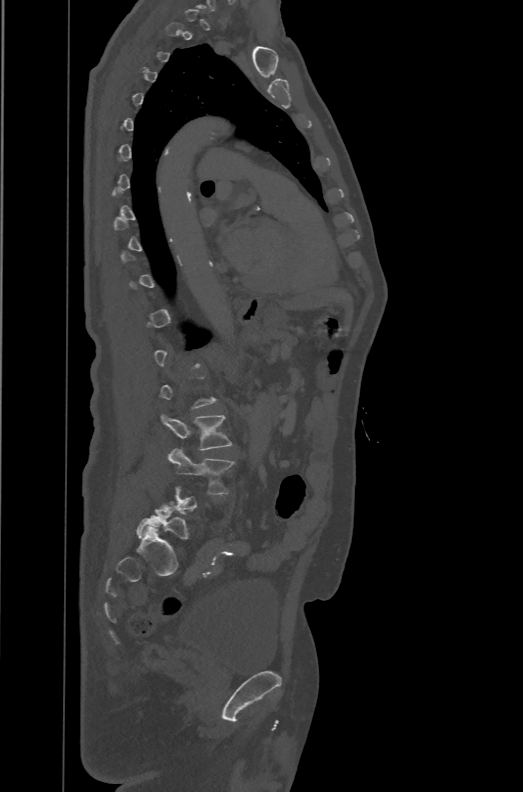 CT · sagittal view · bone-window reconstruction · 471 mm across the image · 523x792 px
Box edges are left/top/right/bottom in pixels. A vertebra gets a box only on the slices from the first to the last where its cross-section is at least a third of its largest; on a slice outside that range it gets none. In these labels the spine has an L6, a sixth lumbar vertebra below L5. 3 vertebrae labeled — L3 at left=159, top=413, right=232, bottom=450; L4 at left=167, top=448, right=234, bottom=493; L6 at left=136, top=501, right=188, bottom=539.